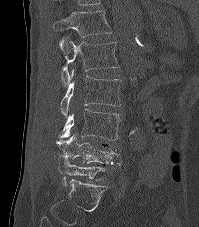 CT spine — sagittal view — 199x227 px
Boxes: x1 y1 x2 y2 (pixel coords, space-separated).
This scan's labels start at T12 at the top and end at L5 at the bottom.
Vertebra bounding boxes:
- T12: 52 11 111 37
- L1: 58 36 119 85
- L2: 60 69 120 118
- L3: 58 109 120 140
- L4: 56 134 121 165
- L5: 58 158 106 185